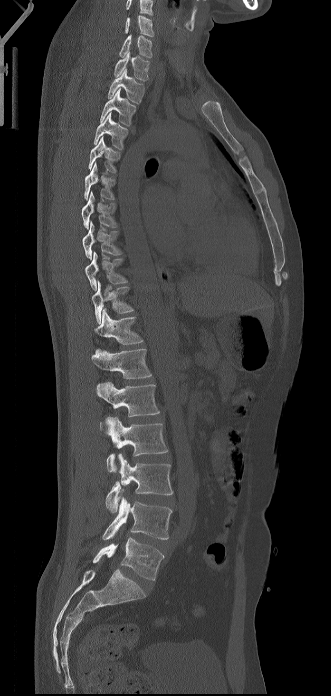
CT spine — sagittal view

Each box given as x1,y1,x2,y2. In this scan, the topmost labeled vertebra is C6 and the lowest is L5. 19 vertebrae labeled — L5 at x1=93, y1=537, x2=164, y2=580; L4 at x1=102, y1=497, x2=172, y2=539; L3 at x1=105, y1=453, x2=172, y2=512; L2 at x1=105, y1=417, x2=168, y2=472; L1 at x1=96, y1=381, x2=159, y2=430; T12 at x1=92, y1=349, x2=151, y2=378; T11 at x1=94, y1=308, x2=143, y2=344; T10 at x1=91, y1=281, x2=133, y2=323; T9 at x1=85, y1=252, x2=127, y2=291; T8 at x1=82, y1=221, x2=121, y2=259; T7 at x1=81, y1=191, x2=117, y2=229; T6 at x1=84, y1=162, x2=115, y2=200; T5 at x1=88, y1=136, x2=120, y2=172; T4 at x1=94, y1=112, x2=128, y2=149; T3 at x1=100, y1=88, x2=136, y2=126; T2 at x1=108, y1=68, x2=144, y2=103; T1 at x1=114, y1=51, x2=149, y2=80; C7 at x1=119, y1=34, x2=152, y2=57; C6 at x1=124, y1=15, x2=153, y2=36.